Computed tomography of the spine · the image spans 220 mm across · sagittal view · bone-window reconstruction
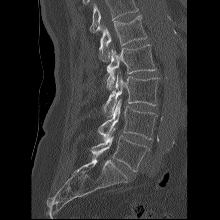 Each row gives a vertebra's box as x1, y1, x2, y2 in pixels: top-left corner, then bottom-right corner.
A vertebra cut off by the top edge of the scan is not labeled and has no box.
| vertebra | x1 | y1 | x2 | y2 |
|---|---|---|---|---|
| L1 | 98 | 15 | 147 | 62 |
| L2 | 107 | 44 | 156 | 89 |
| L3 | 103 | 73 | 159 | 116 |
| L4 | 98 | 99 | 157 | 139 |
| L5 | 91 | 128 | 149 | 171 |